Spine CT. Sagittal slice 259/512. bone-window reconstruction
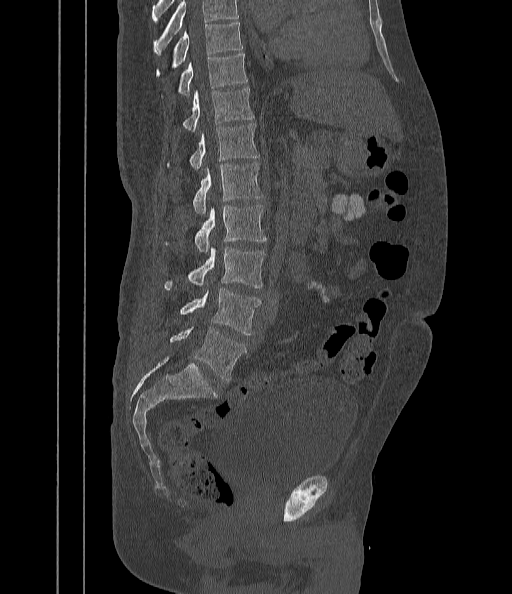
Where the top of the scan cuts through a vertebra, that vertebra gets no label or box.
<vertebrae><v name="T9" x1="173" y1="23" x2="242" y2="67"/><v name="T10" x1="178" y1="54" x2="247" y2="95"/><v name="T11" x1="183" y1="89" x2="254" y2="131"/><v name="T12" x1="190" y1="123" x2="258" y2="171"/><v name="L1" x1="193" y1="162" x2="262" y2="213"/><v name="L2" x1="195" y1="205" x2="265" y2="253"/><v name="L3" x1="164" y1="247" x2="265" y2="289"/><v name="L4" x1="179" y1="288" x2="261" y2="334"/><v name="L5" x1="170" y1="327" x2="246" y2="381"/></vertebrae>